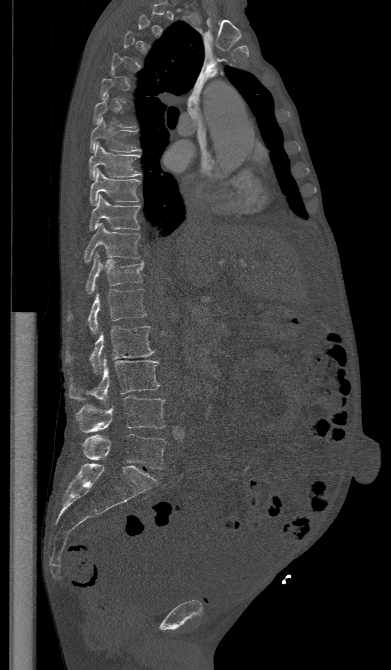 Spine CT; sagittal view; bone-window reconstruction
Each vertebra is boxed only on the slices from the first to the last where its cross-section reaches a third of its largest, so a slice outside that range leaves it unboxed.
<vertebrae><v name="T7" x1="89" y1="117" x2="140" y2="153"/><v name="T8" x1="89" y1="143" x2="142" y2="178"/><v name="T9" x1="90" y1="169" x2="140" y2="205"/><v name="T10" x1="89" y1="194" x2="139" y2="230"/><v name="T11" x1="84" y1="222" x2="139" y2="263"/><v name="T12" x1="86" y1="252" x2="144" y2="294"/><v name="L1" x1="67" y1="289" x2="146" y2="334"/><v name="L2" x1="66" y1="326" x2="154" y2="374"/><v name="L3" x1="69" y1="358" x2="159" y2="405"/><v name="L4" x1="75" y1="396" x2="165" y2="432"/><v name="L5" x1="81" y1="434" x2="166" y2="469"/></vertebrae>